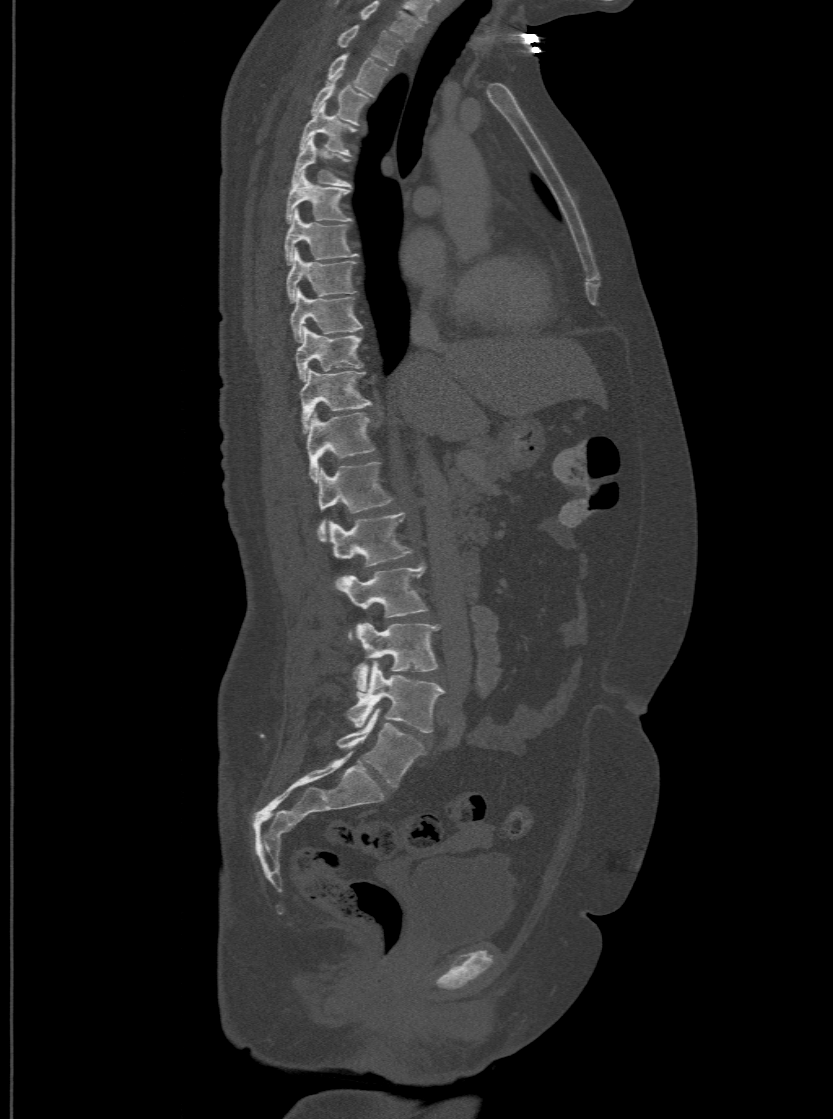 CT spine — sagittal view — the image spans 500 mm across — bone window
Boxes: x1:y1:x2:y2 in pixels.
This scan's labels start at T1 at the top and end at L6 at the bottom.
The labels name a sixth lumbar vertebra for this spine: L6, after L5.
Vertebra bounding boxes:
- T1: 337:23:403:64
- T2: 327:53:388:94
- T3: 311:80:368:124
- T4: 299:105:355:152
- T5: 291:137:351:186
- T6: 285:173:351:222
- T7: 285:210:357:264
- T8: 286:250:355:301
- T9: 290:288:362:341
- T10: 295:327:362:381
- T11: 299:368:370:432
- T12: 306:412:375:481
- L1: 319:460:393:539
- L2: 330:512:412:583
- L3: 340:563:427:640
- L4: 353:623:438:693
- L5: 347:661:443:732
- L6: 337:708:424:787